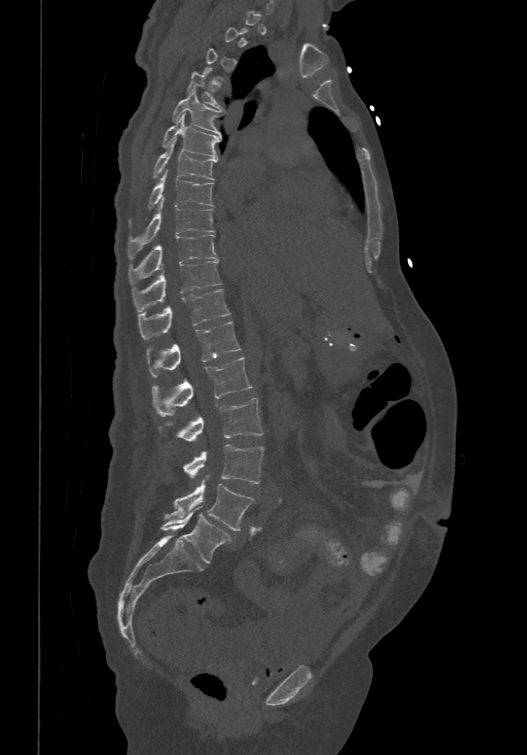

Computed tomography of the spine; sagittal view; 527x755 px
Box edges are left/top/right/bottom in pixels.
Not every vertebra on this slice has a box: a vertebra is boxed only from the first to the last slice where its cross-section is at least a third of its largest, and this slice is outside that range for at least one of them.
In these labels the spine has an L6, a sixth lumbar vertebra below L5.
L6: left=159, top=506, right=231, bottom=563
L5: left=166, top=480, right=254, bottom=531
L4: left=183, top=444, right=263, bottom=483
L3: left=160, top=397, right=262, bottom=441
L2: left=151, top=356, right=252, bottom=416
L1: left=147, top=321, right=241, bottom=377
T12: left=138, top=287, right=230, bottom=339
T11: left=132, top=258, right=221, bottom=311
T10: left=129, top=233, right=218, bottom=284
T9: left=128, top=197, right=215, bottom=259
T8: left=129, top=168, right=213, bottom=224
T7: left=153, top=140, right=217, bottom=179
T6: left=163, top=113, right=220, bottom=157
T5: left=172, top=90, right=221, bottom=135
T4: left=186, top=68, right=222, bottom=110